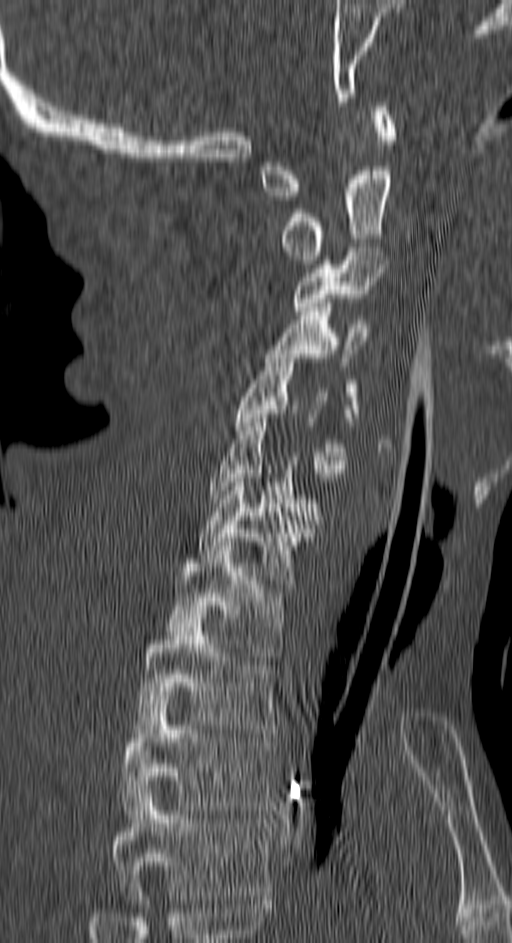

Spine CT. sagittal view. 150 mm wide
In this scan, the topmost labeled vertebra is C1 and the lowest is T4.
<vertebrae><v name="C1" x1="261" y1="102" x2="396" y2="200"/><v name="C2" x1="281" y1="166" x2="389" y2="264"/><v name="C3" x1="295" y1="247" x2="386" y2="315"/><v name="C4" x1="266" y1="303" x2="369" y2="417"/><v name="C5" x1="235" y1="354" x2="354" y2="473"/><v name="C6" x1="209" y1="418" x2="318" y2="520"/><v name="C7" x1="199" y1="474" x2="314" y2="588"/><v name="T1" x1="168" y1="542" x2="286" y2="660"/><v name="T2" x1="137" y1="614" x2="278" y2="733"/><v name="T3" x1="121" y1="691" x2="277" y2="818"/><v name="T4" x1="110" y1="789" x2="270" y2="899"/></vertebrae>